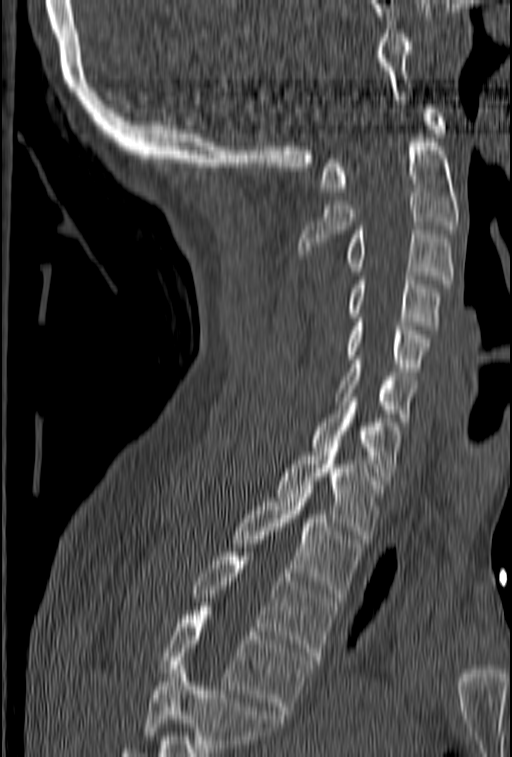
CT, spine; sagittal view; 512x757 px
Box values are [left, top, right, bottom] in pixels.
No box is given to a vertebra that the bottom edge of the scan cuts off.
{"vertebrae":{"C1":[319,105,446,191],"C2":[299,130,459,254],"C3":[346,226,454,283],"C4":[349,276,439,325],"C5":[346,318,432,371],"C6":[334,360,417,421],"C7":[312,397,402,484],"T1":[277,448,383,543],"T2":[232,489,362,597],"T3":[192,552,336,660],"T4":[161,611,312,714]}}